Spine computed tomography. the image is 252 mm wide. sagittal reformat. 512x1410 px. a uniform gray block covers part of the image
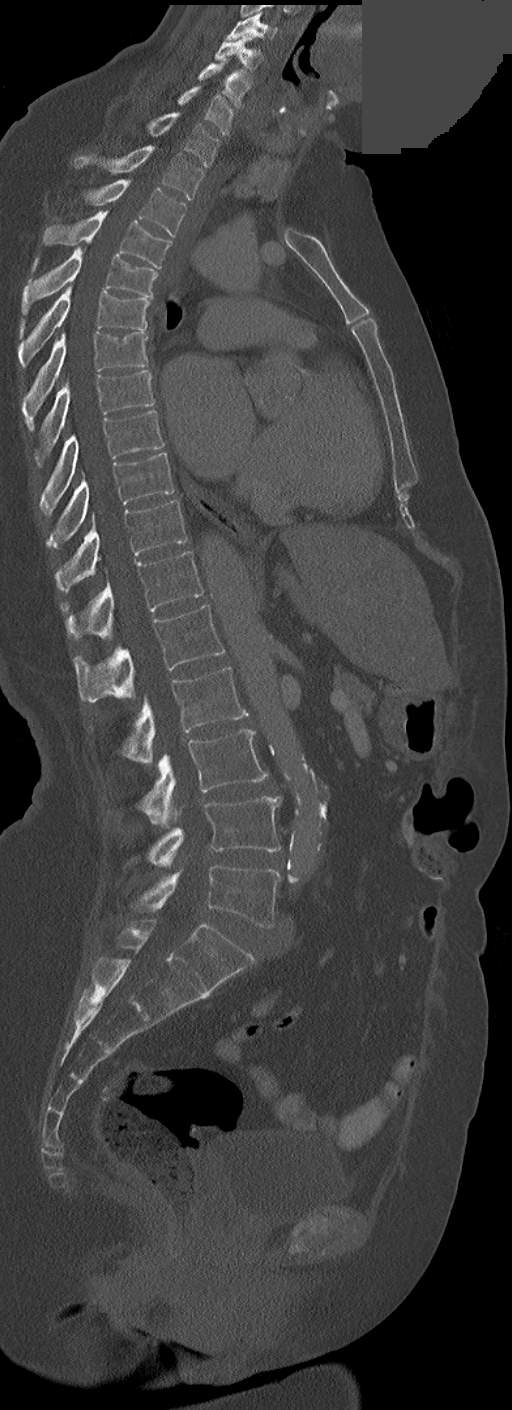

Coordinates as <box>x1,y1,x2,y2</box>.
In these labels the spine has no T12: the thoracic vertebrae end at T11, and L1 comes next.
C3: <box>225,12,278,40</box>
C4: <box>214,35,264,71</box>
C5: <box>198,63,249,107</box>
C6: <box>177,86,233,136</box>
C7: <box>147,112,219,166</box>
T1: <box>74,145,203,201</box>
T2: <box>86,179,186,237</box>
T3: <box>43,212,170,268</box>
T4: <box>21,246,156,335</box>
T5: <box>19,287,150,367</box>
T6: <box>22,332,148,430</box>
T7: <box>35,370,154,465</box>
T8: <box>39,411,164,514</box>
T9: <box>47,452,174,548</box>
T10: <box>55,500,186,593</box>
T11: <box>61,551,203,640</box>
L1: <box>74,604,225,702</box>
L2: <box>122,667,247,763</box>
L3: <box>141,730,268,826</box>
L4: <box>147,797,282,867</box>
L5: <box>133,864,280,928</box>